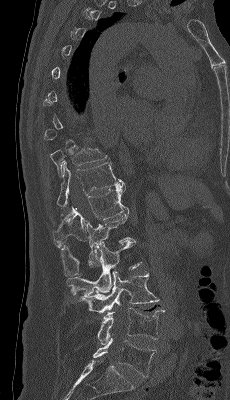 Spine computed tomography. sagittal view. W/L 1800/400 HU. the image is 230 mm wide. 230x400 px
Box edges are left/top/right/bottom in pixels.
Each vertebra is boxed only on the slices from the first to the last where its cross-section reaches a third of its largest, so a slice outside that range leaves it unboxed.
| vertebra | x1 | y1 | x2 | y2 |
|---|---|---|---|---|
| L5 | 93 | 338 | 156 | 377 |
| L4 | 97 | 307 | 165 | 344 |
| L3 | 80 | 270 | 159 | 313 |
| L2 | 66 | 240 | 141 | 297 |
| L1 | 61 | 213 | 131 | 277 |
| T12 | 52 | 184 | 129 | 247 |
| T11 | 57 | 161 | 125 | 207 |
| T10 | 50 | 147 | 107 | 176 |